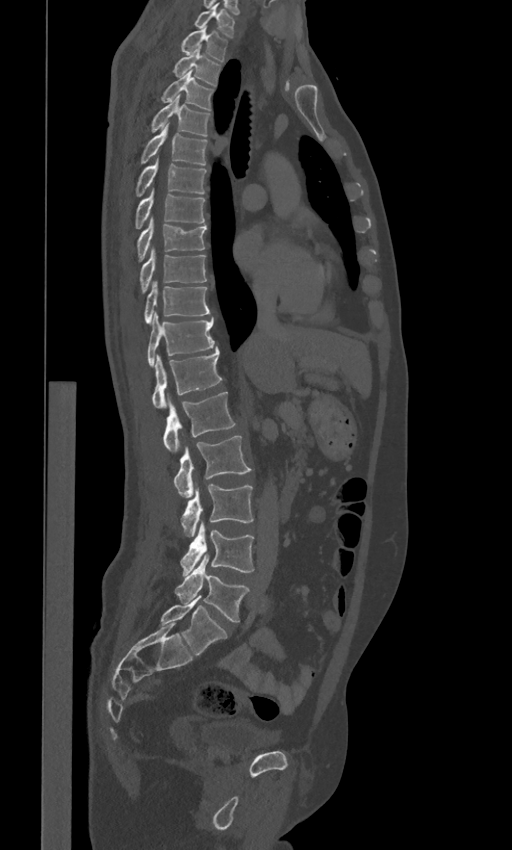

Spine CT. sagittal view. 512x850 px. Boxes: x1:y1:x2:y2 in pixels.
These labels give the spine a sixth lumbar vertebra, L6, below L5.
C7: 195:3:235:37
T1: 181:27:227:61
T2: 173:46:220:85
T3: 162:70:213:110
T4: 151:94:210:135
T5: 141:123:208:164
T6: 136:156:206:196
T7: 135:187:205:228
T8: 137:215:206:259
T9: 140:247:207:291
T10: 144:280:209:324
T11: 147:314:214:367
T12: 151:347:222:409
L1: 163:392:235:453
L2: 173:436:251:497
L3: 181:484:253:537
L4: 180:520:253:575
L5: 174:555:249:621
L6: 160:595:227:655